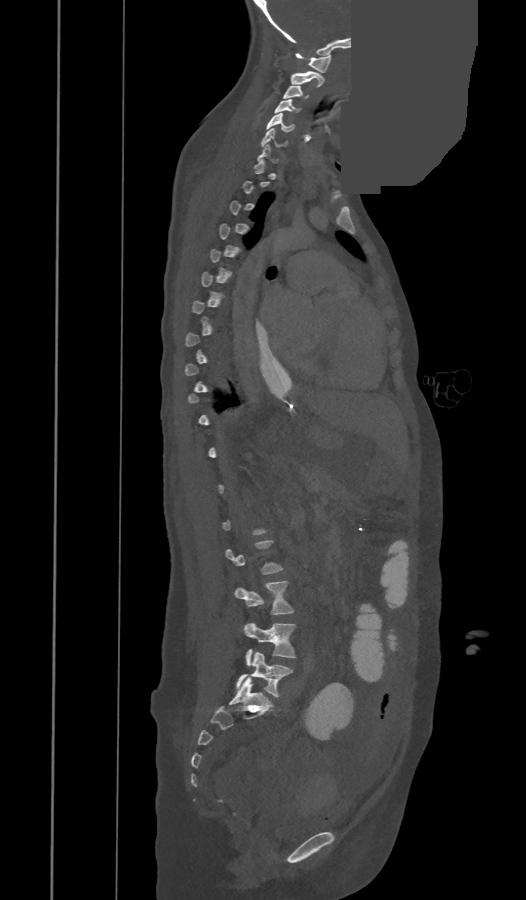
CT spine; sagittal view; bone-window reconstruction; part of the image has been replaced by a constant value
Boxes: x1 y1 x2 y2 (pixel coords, space-separated).
Not every vertebra on this slice has a box: a vertebra is boxed only from the first to the last slice where its cross-section is at least a third of its largest, and this slice is outside that range for at least one of them.
L5: 237 652 293 697
L4: 244 623 295 665
L3: 234 581 294 615
C7: 258 145 279 162
C6: 261 128 286 147
C5: 267 113 295 131
C4: 274 99 300 112
C3: 283 86 308 99
C2: 290 71 323 87
C1: 295 53 331 72